CT; sagittal view; some of the image was removed or blocked out with constant pixels
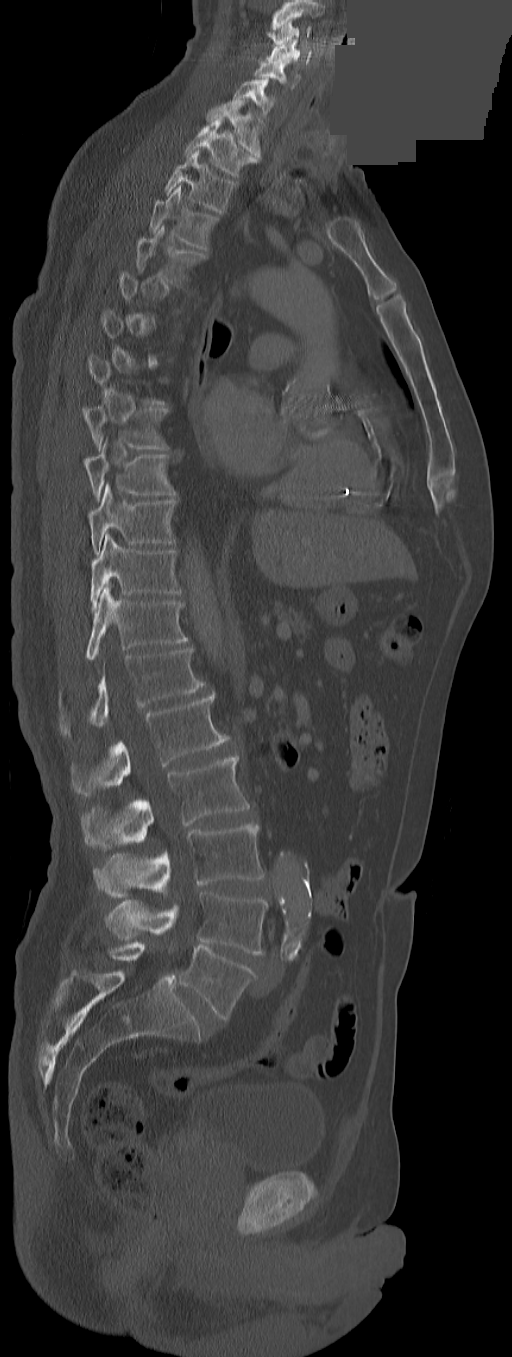
A vertebra gets a box only on the slices from the first to the last where its cross-section is at least a third of its largest; on a slice outside that range it gets none.
In this scan, the topmost labeled vertebra is C3 and the lowest is L5.
The labels name an extra thoracic vertebra here, T13, which comes after T12 and before L1.
<vertebrae><v name="L5" x1="178" y1="946" x2="255" y2="1020"/><v name="L4" x1="104" y1="893" x2="267" y2="955"/><v name="L3" x1="94" y1="824" x2="265" y2="897"/><v name="L2" x1="81" y1="755" x2="249" y2="849"/><v name="L1" x1="71" y1="692" x2="228" y2="797"/><v name="T13" x1="58" y1="648" x2="205" y2="737"/><v name="T12" x1="85" y1="583" x2="188" y2="659"/><v name="T11" x1="90" y1="534" x2="181" y2="609"/><v name="T10" x1="88" y1="484" x2="175" y2="554"/><v name="T9" x1="83" y1="440" x2="175" y2="501"/><v name="T8" x1="81" y1="405" x2="168" y2="448"/><v name="T4" x1="136" y1="225" x2="205" y2="283"/><v name="T3" x1="150" y1="185" x2="218" y2="249"/><v name="T2" x1="164" y1="150" x2="235" y2="212"/><v name="T1" x1="185" y1="117" x2="259" y2="177"/><v name="C7" x1="206" y1="100" x2="262" y2="158"/><v name="C6" x1="233" y1="78" x2="274" y2="117"/><v name="C5" x1="254" y1="58" x2="300" y2="89"/><v name="C4" x1="266" y1="39" x2="311" y2="65"/><v name="C3" x1="266" y1="22" x2="310" y2="44"/></vertebrae>